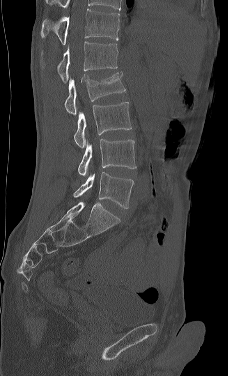

CT spine. sagittal reformat. W/L 1800/400 HU

Boxes below are [x1, y1, x2, y2] in pixels.
Labels in this scan begin with L1 at the top and end with L5 at the bottom.
{"vertebrae":{"L1":[57,42,117,83],"L2":[64,72,125,115],"L3":[74,102,131,148],"L4":[78,139,136,175],"L5":[73,172,134,208]}}